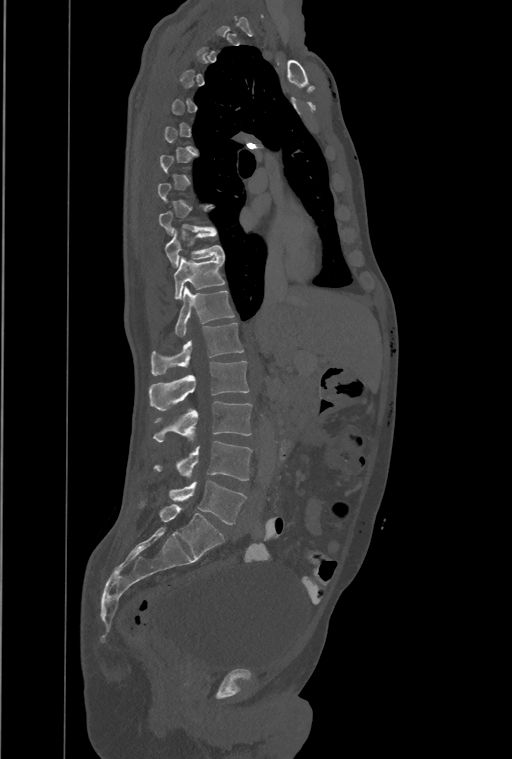 Spine CT. sagittal view. Bone window (WL 400, WW 1800)
Bounding boxes as [x1, y1, x2, y2] in pixel coordinates.
Each vertebra is boxed only on the slices from the first to the last where its cross-section reaches a third of its largest, so a slice outside that range leaves it unboxed.
Labels in this scan begin with T1 at the top and end with L4 at the bottom.
In these labels the spine has a T13, a thirteenth thoracic vertebra, between T12 and L1.
Vertebra bounding boxes:
- T10: [164, 229, 224, 267]
- T11: [174, 257, 224, 299]
- T12: [175, 287, 234, 336]
- T13: [152, 322, 243, 375]
- L1: [148, 361, 248, 410]
- L2: [153, 401, 252, 441]
- L3: [154, 441, 252, 480]
- L4: [170, 481, 246, 524]